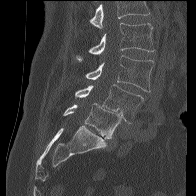

Computed tomography of the spine; sagittal view; Bone window (WL 400, WW 1800)
Box values are [left, top, right, bottom] in pixels.
No box is given to a vertebra that the top edge of the scan cuts off.
{"vertebrae":{"L2":[76,23,155,60],"L3":[85,55,154,91],"L4":[75,84,143,123],"L5":[63,103,122,139]}}